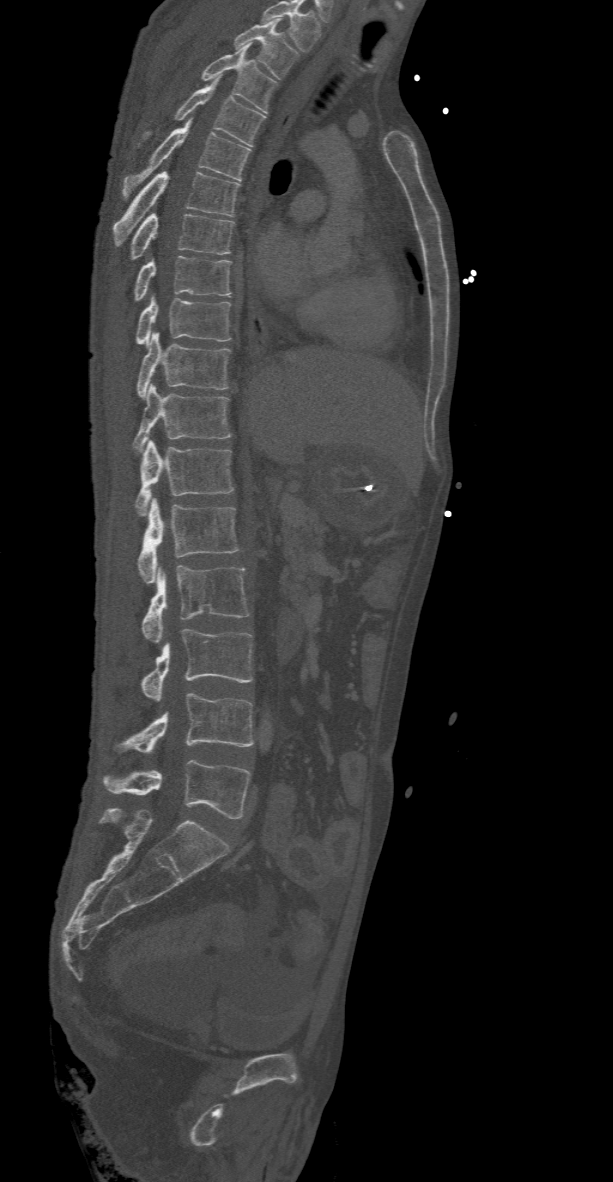
Spine computed tomography · sagittal reformat · 613x1182 px
Bounding boxes as [x1, y1, x2, y2] in pixel coordinates.
Labels in this scan begin with T2 at the top and end with L5 at the bottom.
Vertebra bounding boxes:
- L5: [102, 759, 251, 818]
- L4: [113, 692, 254, 753]
- L3: [140, 629, 252, 700]
- L2: [141, 566, 251, 641]
- L1: [138, 497, 239, 583]
- T12: [135, 439, 234, 516]
- T11: [133, 382, 233, 453]
- T10: [137, 332, 230, 398]
- T9: [134, 296, 230, 347]
- T8: [133, 256, 230, 301]
- T7: [128, 212, 234, 261]
- T6: [113, 171, 239, 246]
- T5: [123, 117, 251, 196]
- T4: [146, 75, 265, 146]
- T3: [201, 42, 276, 111]
- T2: [234, 19, 297, 78]